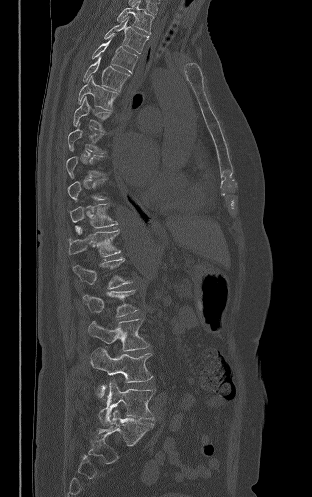 Computed tomography of the spine. sagittal view. bone-window reconstruction. 312x497 px. Boxes: x1 y1 x2 y2 (pixel coords, space-separated). A vertebra gets a box only on the slices from the first to the last where its cross-section is at least a third of its largest; on a slice outside that range it gets none. The labeled vertebrae in this slice are: T2 at 117 1 153 33, T3 at 104 16 148 53, T4 at 92 35 138 73, T5 at 83 56 130 92, T6 at 78 75 118 110, T7 at 73 96 111 131, T8 at 67 125 103 153, T11 at 70 204 117 234, T12 at 68 228 120 257, L1 at 73 258 132 289, L2 at 83 290 138 316, L3 at 88 318 149 351, L4 at 90 348 152 397, L5 at 98 380 155 426.